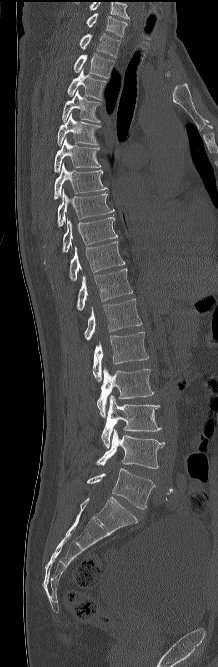
CT spine; sagittal reformat; image width 218 mm. Each row gives a vertebra's box as x1, y1, x2, y2 in pixels: top-left corner, then bottom-right corner.
The highest labeled vertebra in this scan is C7; the lowest is L5.
| vertebra | x1 | y1 | x2 | y2 |
|---|---|---|---|---|
| L5 | 87 | 468 | 155 | 509 |
| L4 | 96 | 429 | 165 | 468 |
| L3 | 101 | 395 | 161 | 448 |
| L2 | 97 | 368 | 154 | 417 |
| L1 | 93 | 331 | 148 | 381 |
| T12 | 84 | 299 | 141 | 340 |
| T11 | 76 | 268 | 132 | 310 |
| T10 | 52 | 241 | 125 | 287 |
| T9 | 62 | 217 | 117 | 252 |
| T8 | 58 | 190 | 114 | 226 |
| T7 | 54 | 162 | 108 | 199 |
| T6 | 54 | 138 | 101 | 173 |
| T5 | 57 | 113 | 101 | 146 |
| T4 | 62 | 90 | 101 | 122 |
| T3 | 67 | 69 | 106 | 100 |
| T2 | 74 | 53 | 114 | 78 |
| T1 | 80 | 33 | 120 | 57 |
| C7 | 86 | 13 | 127 | 36 |